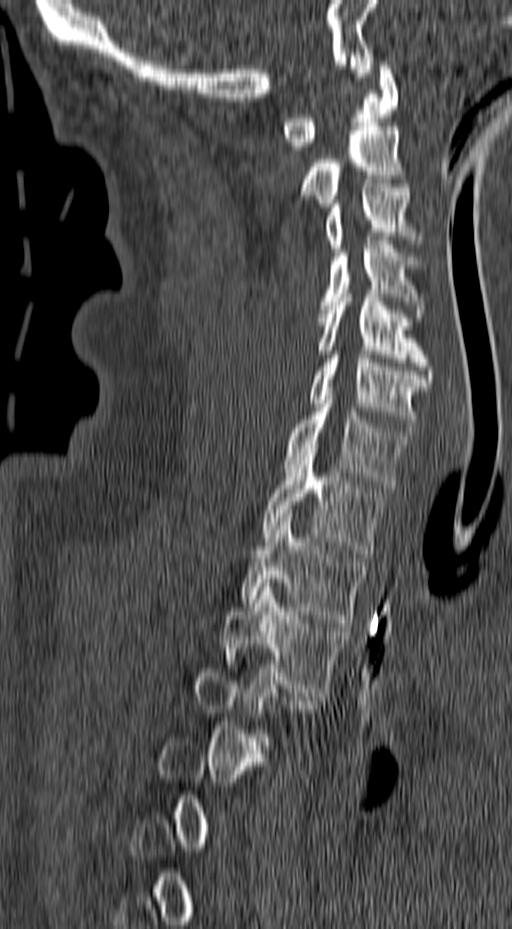 Spine CT; sagittal view; Bone window (WL 400, WW 1800)
Not every vertebra on this slice has a box: a vertebra is boxed only from the first to the last slice where its cross-section is at least a third of its largest, and this slice is outside that range for at least one of them.
<vertebrae><v name="C1" x1="281" y1="65" x2="398" y2="150"/><v name="C2" x1="298" y1="122" x2="411" y2="207"/><v name="C3" x1="324" y1="183" x2="424" y2="252"/><v name="C4" x1="321" y1="241" x2="425" y2="317"/><v name="C5" x1="317" y1="289" x2="433" y2="386"/><v name="C6" x1="308" y1="351" x2="428" y2="431"/><v name="C7" x1="283" y1="391" x2="414" y2="488"/><v name="T1" x1="262" y1="448" x2="385" y2="557"/><v name="T2" x1="239" y1="514" x2="365" y2="627"/><v name="T3" x1="223" y1="583" x2="349" y2="696"/></vertebrae>